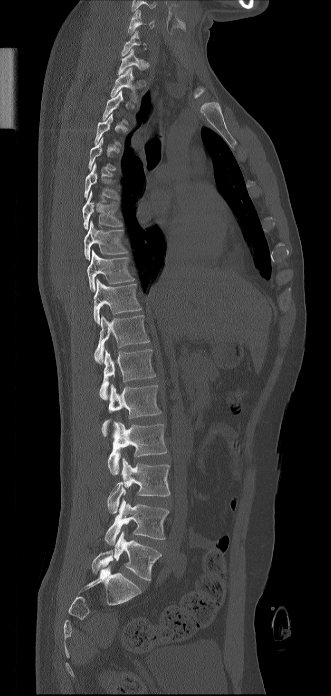 Spine CT — sagittal view — 331 mm image width. Each box given as x1,y1,x2,y2.
Each vertebra is boxed only on the slices from the first to the last where its cross-section reaches a third of its largest, so a slice outside that range leaves it unboxed.
Vertebra bounding boxes:
- L5: x1=92, y1=532, x2=161, y2=580
- L4: x1=105, y1=499, x2=169, y2=545
- L3: x1=107, y1=458, x2=170, y2=513
- L2: x1=108, y1=422, x2=167, y2=474
- L1: x1=102, y1=384, x2=161, y2=436
- T12: x1=99, y1=349, x2=155, y2=400
- T11: x1=94, y1=315, x2=149, y2=363
- T10: x1=93, y1=279, x2=141, y2=324
- T9: x1=87, y1=250, x2=133, y2=291
- T8: x1=83, y1=221, x2=127, y2=260
- T7: x1=82, y1=190, x2=122, y2=229
- T6: x1=84, y1=162, x2=119, y2=199
- T2: x1=110, y1=67, x2=137, y2=101
- T1: x1=117, y1=48, x2=143, y2=75
- C7: x1=121, y1=30, x2=146, y2=56
- C6: x1=128, y1=9, x2=154, y2=34